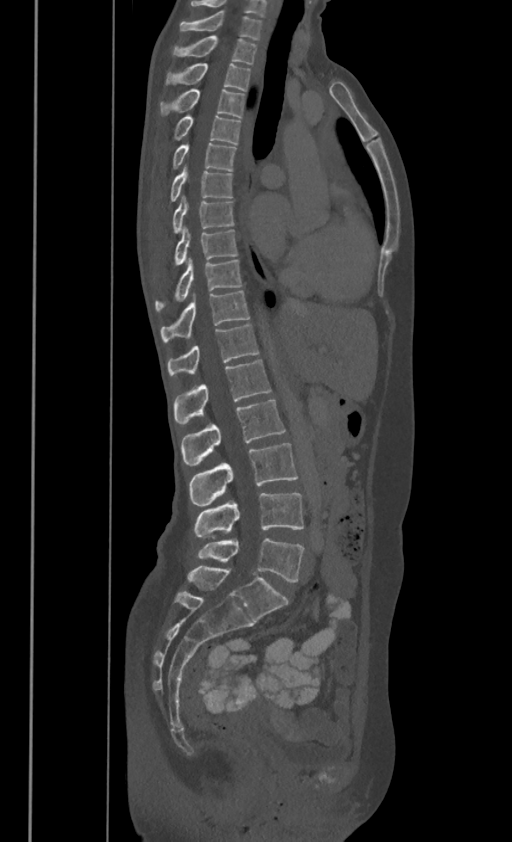
CT, spine · sagittal view · 512x842 px
Box values are [left, top, right, bottom] in pixels.
In these labels the spine has no T12: the thoracic vertebrae end at T11, and L1 comes next.
{"vertebrae":{"C7":[180,8,261,38],"T1":[172,35,256,63],"T2":[167,62,250,90],"T3":[160,87,244,117],"T4":[175,113,240,143],"T5":[174,142,235,170],"T6":[171,162,231,201],"T7":[172,193,234,231],"T8":[175,226,236,263],"T9":[155,255,240,309],"T10":[160,290,248,340],"T11":[167,324,257,374],"L1":[174,359,271,423],"L2":[182,399,284,466],"L3":[190,443,297,505],"L4":[195,493,304,537],"L5":[199,538,304,582]}}